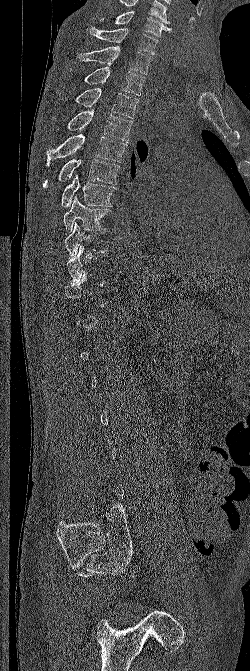

CT — sagittal view — image 250 mm wide — bone window — 250x671 px
A vertebra gets a box only on the slices from the first to the last where its cross-section is at least a third of its largest; on a slice outside that range it gets none.
Labels in this scan begin with C6 at the top and end with L5 at the bottom.
<vertebrae><v name="C6" x1="100" y1="11" x2="172" y2="37"/><v name="C7" x1="89" y1="27" x2="158" y2="54"/><v name="T1" x1="78" y1="46" x2="151" y2="74"/><v name="T2" x1="84" y1="67" x2="145" y2="95"/><v name="T3" x1="66" y1="88" x2="138" y2="118"/><v name="T4" x1="67" y1="108" x2="132" y2="141"/><v name="T5" x1="46" y1="134" x2="127" y2="165"/><v name="T6" x1="43" y1="159" x2="120" y2="189"/><v name="T7" x1="61" y1="174" x2="116" y2="207"/><v name="T8" x1="64" y1="196" x2="111" y2="233"/><v name="T9" x1="64" y1="222" x2="108" y2="258"/></vertebrae>